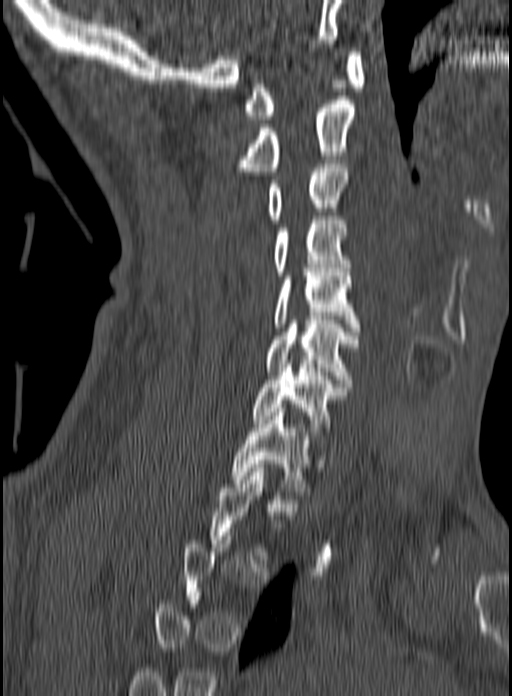 Spine computed tomography — sagittal view — image 160 mm wide — W/L 1800/400 HU
In the table, x1 and y1 are a box's top-left corner and x2 and y2 its bottom-right corner, in pixels.
A vertebra is boxed only from the first to the last slice where its cross-section is at least a third of its largest; slices outside that range leave it without a box.
| vertebra | x1 | y1 | x2 | y2 |
|---|---|---|---|---|
| C1 | 244 | 52 | 364 | 119 |
| C2 | 241 | 100 | 355 | 171 |
| C3 | 267 | 160 | 347 | 223 |
| C4 | 273 | 216 | 349 | 275 |
| C5 | 274 | 268 | 359 | 331 |
| C6 | 266 | 320 | 359 | 383 |
| C7 | 252 | 364 | 346 | 435 |
| T1 | 230 | 408 | 310 | 491 |